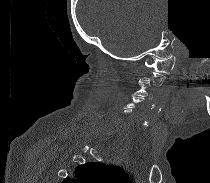 Computed tomography of the spine — sagittal view — W/L 1800/400 HU — a portion of the image is blanked out (constant pixel value)
Boxes: x1:y1:x2:y2 in pixels.
Each vertebra is boxed only on the slices from the first to the last where its cross-section reaches a third of its largest, so a slice outside that range leaves it unboxed.
C1: 145:55:175:74
C3: 131:81:152:99
C4: 124:97:144:110